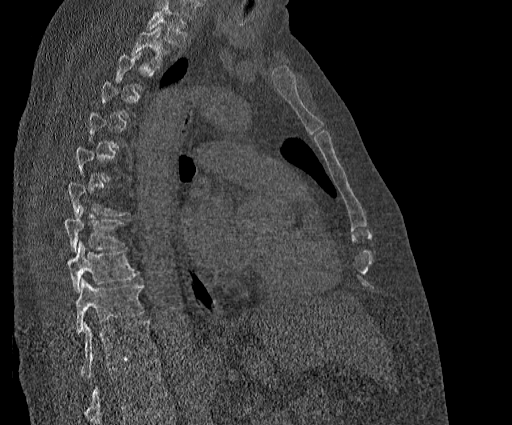
CT · sagittal view. Boxes are given in columns x1, y1, x2, y2, the pixel coordinates of their top-left and bottom-right corners.
A vertebra is boxed only from the first to the last slice where its cross-section is at least a third of its largest; slices outside that range leave it without a box.
No box is given to a vertebra that the top edge of the scan cuts off.
The highest labeled vertebra in this scan is T2; the lowest is T11.
| vertebra | x1 | y1 | x2 | y2 |
|---|---|---|---|---|
| T2 | 130 | 27 | 167 | 67 |
| T8 | 64 | 208 | 124 | 252 |
| T9 | 68 | 241 | 139 | 291 |
| T10 | 76 | 279 | 144 | 334 |
| T11 | 80 | 320 | 156 | 379 |